Computed tomography of the spine. sagittal reformat
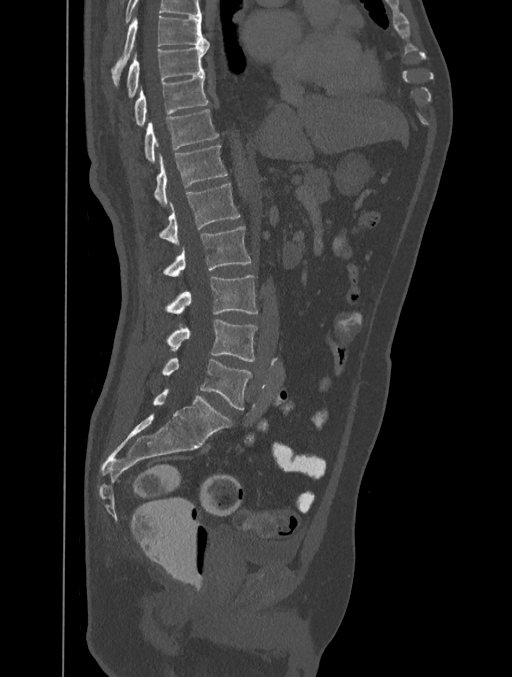 Each row gives a vertebra's box as x1, y1, x2, y2 in pixels: top-left corner, then bottom-right corner.
Labels in this scan begin with T8 at the top and end with L5 at the bottom.
| vertebra | x1 | y1 | x2 | y2 |
|---|---|---|---|---|
| T8 | 111 | 15 | 208 | 86 |
| T9 | 126 | 43 | 210 | 98 |
| T10 | 134 | 75 | 208 | 125 |
| T11 | 144 | 109 | 218 | 162 |
| T12 | 153 | 145 | 227 | 206 |
| L1 | 159 | 183 | 240 | 244 |
| L2 | 163 | 226 | 250 | 276 |
| L3 | 166 | 275 | 258 | 313 |
| L4 | 166 | 319 | 257 | 361 |
| L5 | 162 | 357 | 252 | 409 |